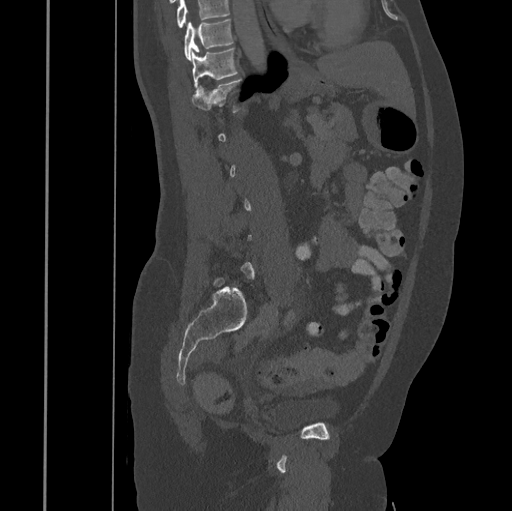
Spine computed tomography; sagittal view

Coordinates as <box>x1,y1,x2,y2</box>.
A vertebra gets a box only on the slices from the first to the last where its cross-section is at least a third of its largest; on a slice outside that range it gets none.
A vertebra cut off by the top edge of the scan is not labeled and has no box.
T10: <box>184,20,232,60</box>
T11: <box>192,48,237,88</box>
T12: <box>191,79,242,112</box>